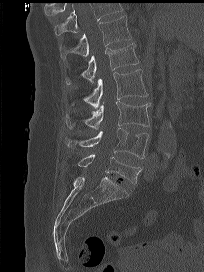
Spine CT; 204 mm image width; sagittal view; W/L 1800/400 HU. Bounding boxes as [x1, y1, x2, y2] in pixel coordinates. A vertebra cut off by the top edge of the scan is not labeled and has no box. 6 vertebrae labeled — L5 at [77, 154, 141, 184]; L4 at [64, 128, 149, 158]; L3 at [66, 101, 150, 129]; L2 at [83, 69, 148, 107]; L1 at [64, 42, 138, 85]; T12 at [60, 15, 131, 60].